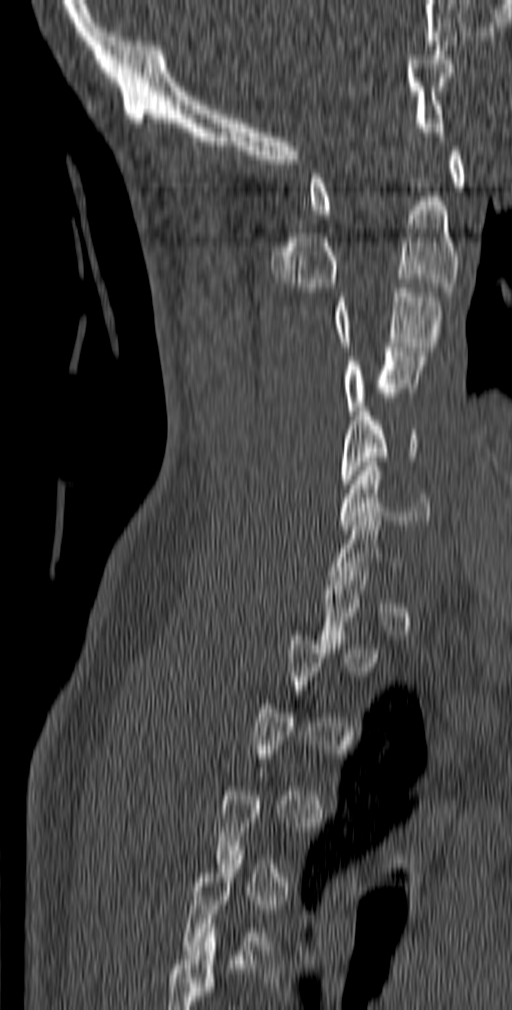 CT, spine · image 140 mm wide · sagittal view · 512x1010 px
Coordinates as <box>x1,y1,x2,y2</box>.
Each vertebra is boxed only on the slices from the first to the last where its cross-section reaches a third of its largest, so a slice outside that range leaves it unboxed.
C1: <box>309,146,465,214</box>
C2: <box>271,197,459,292</box>
C3: <box>334,283,443,351</box>
C4: <box>345,347,425,415</box>
C5: <box>341,407,417,488</box>
C6: <box>338,462,431,529</box>